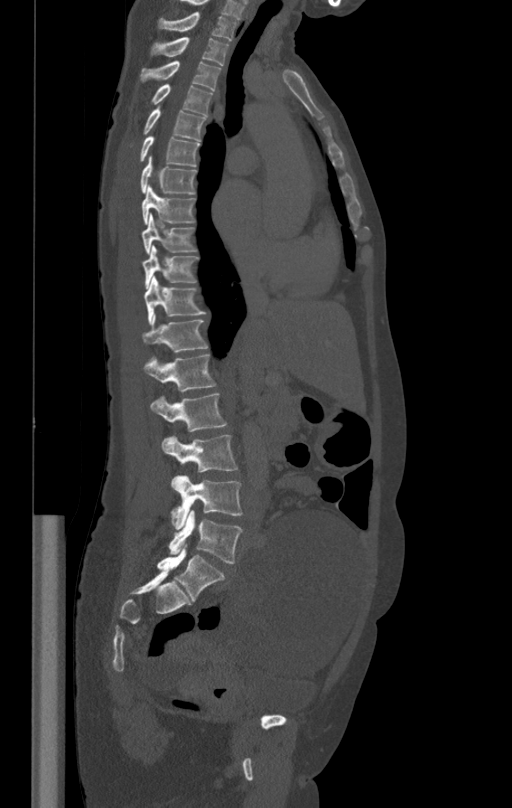 CT, spine. sagittal reformat
<vertebrae><v name="L5" x1="169" y1="510" x2="242" y2="563"/><v name="L4" x1="170" y1="475" x2="242" y2="529"/><v name="L3" x1="161" y1="435" x2="237" y2="472"/><v name="L2" x1="150" y1="394" x2="226" y2="431"/><v name="L1" x1="144" y1="353" x2="216" y2="392"/><v name="T12" x1="143" y1="315" x2="208" y2="351"/><v name="T11" x1="143" y1="275" x2="205" y2="322"/><v name="T10" x1="142" y1="246" x2="198" y2="286"/><v name="T9" x1="142" y1="215" x2="195" y2="254"/><v name="T8" x1="142" y1="185" x2="194" y2="224"/><v name="T7" x1="140" y1="157" x2="196" y2="194"/><v name="T6" x1="140" y1="135" x2="199" y2="167"/><v name="T5" x1="144" y1="107" x2="205" y2="140"/><v name="T4" x1="153" y1="84" x2="213" y2="115"/><v name="T3" x1="142" y1="60" x2="220" y2="91"/><v name="T2" x1="150" y1="37" x2="229" y2="65"/><v name="T1" x1="158" y1="12" x2="236" y2="39"/></vertebrae>